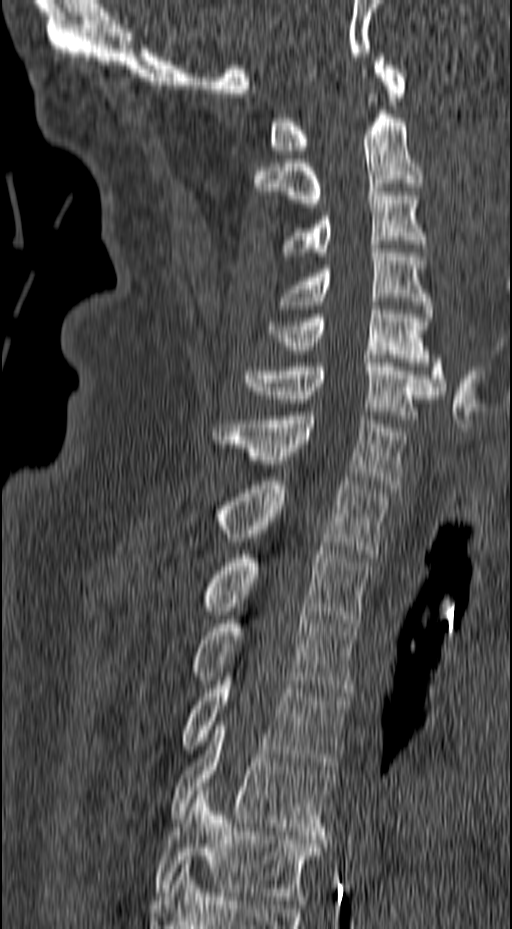
Spine CT — sagittal view — Bone window (WL 400, WW 1800)
Columns x1, y1, x2, y2 give each box's top-left and bottom-right pixels.
| vertebra | x1 | y1 | x2 | y2 |
|---|---|---|---|---|
| C1 | 270 | 53 | 405 | 154 |
| C2 | 253 | 110 | 423 | 203 |
| C3 | 282 | 188 | 427 | 260 |
| C4 | 277 | 245 | 432 | 317 |
| C5 | 269 | 302 | 446 | 394 |
| C6 | 244 | 359 | 439 | 419 |
| C7 | 212 | 412 | 405 | 488 |
| T1 | 213 | 477 | 388 | 557 |
| T2 | 200 | 546 | 369 | 627 |
| T3 | 190 | 611 | 356 | 696 |
| T4 | 180 | 669 | 349 | 769 |
| T5 | 170 | 717 | 336 | 839 |
| T6 | 154 | 787 | 323 | 904 |